CT, spine; sagittal view; Bone window (WL 400, WW 1800); 512x843 px; scan covers 17 annotated vertebrae
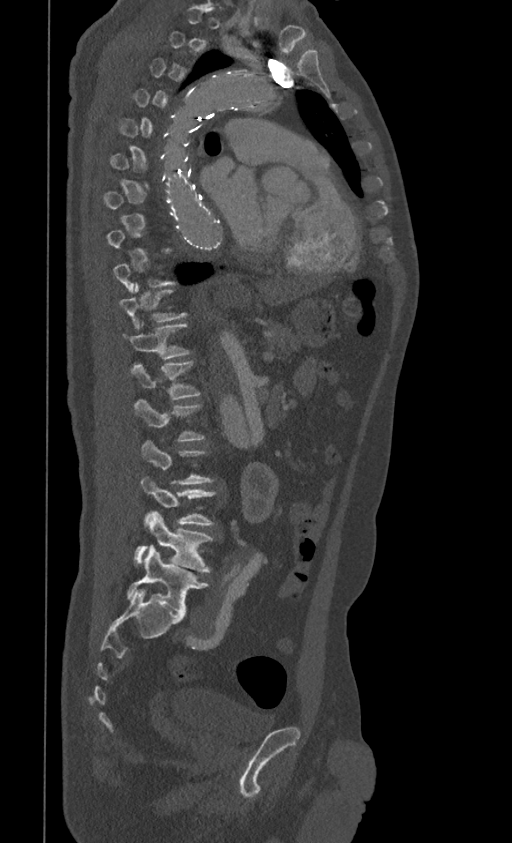
Coordinates as <box>x1,y1,x2,y2</box>.
A vertebra gets a box only on the slices from the first to the last where its cross-section is at least a third of its largest; on a slice outside that range it gets none.
T10: <box>119,286,186,329</box>
T11: <box>123,323,190,358</box>
T12: <box>129,360,200,400</box>
L1: <box>135,400,204,440</box>
L3: <box>141,476,216,526</box>
L4: <box>135,510,212,573</box>
L5: <box>126,545,208,615</box>